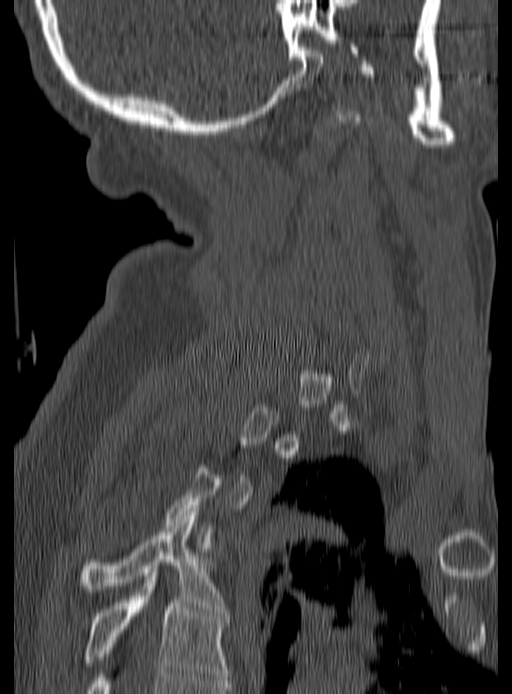 CT, spine. 190 mm image width. sagittal view. W/L 1800/400 HU. Each row gives a vertebra's box as x1, y1, x2, y2 in pixels: top-left corner, then bottom-right corner.
A vertebra gets a box only on the slices from the first to the last where its cross-section is at least a third of its largest; on a slice outside that range it gets none.
| vertebra | x1 | y1 | x2 | y2 |
|---|---|---|---|---|
| T4 | 82 | 512 | 226 | 612 |
| T5 | 84 | 573 | 229 | 683 |